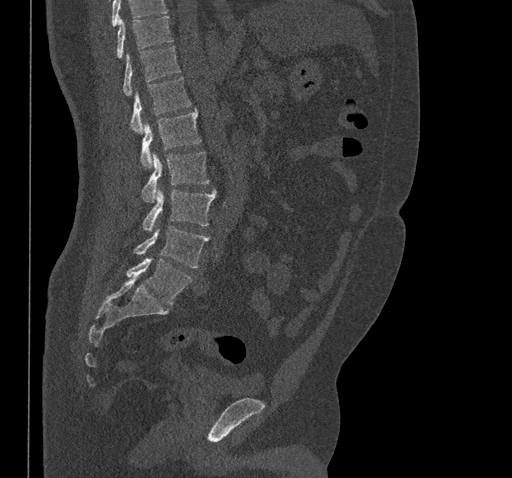

CT, spine · sagittal view · W/L 1800/400 HU
Each box given as x1,y1,x2,y2.
Vertebrae that run past the top of the scan are left unlabeled.
T10: x1=117, y1=16, x2=173, y2=57
T11: x1=123, y1=46, x2=181, y2=96
T12: x1=130, y1=77, x2=191, y2=133
L1: x1=141, y1=108, x2=200, y2=168
L2: x1=142, y1=151, x2=208, y2=203
L3: x1=143, y1=186, x2=216, y2=231
L4: x1=134, y1=226, x2=209, y2=267
L5: x1=127, y1=257, x2=192, y2=305